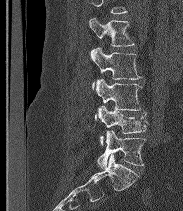 Spine CT · 183 mm across the image · sagittal view
Each box given as x1,y1,x2,y2.
Where the top of the scan cuts through a vertebra, that vertebra gets no label or box.
The labels name a sixth lumbar vertebra for this spine: L6, after L5.
| vertebra | x1 | y1 | x2 | y2 |
|---|---|---|---|---|
| L2 | 88 | 17 | 134 | 46 |
| L3 | 90 | 47 | 141 | 88 |
| L4 | 95 | 78 | 142 | 119 |
| L5 | 97 | 106 | 146 | 145 |
| L6 | 97 | 130 | 145 | 168 |